CT; sagittal plane, index 350; 512x1010 px
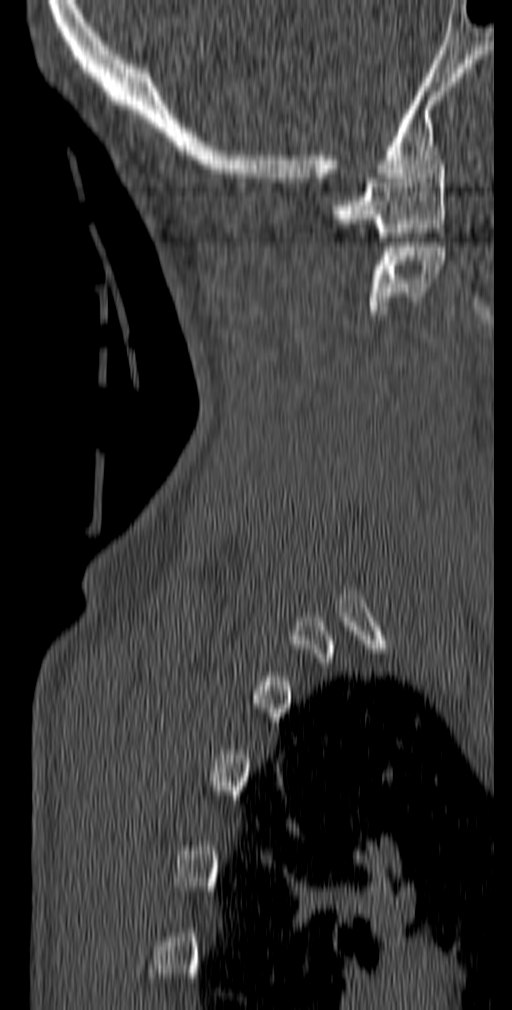 In the table, x1 and y1 are a box's top-left corner and x2 and y2 its bottom-right corner, in pixels.
| vertebra | x1 | y1 | x2 | y2 |
|---|---|---|---|---|
| C1 | 331 | 165 | 447 | 237 |
| C2 | 369 | 242 | 446 | 314 |